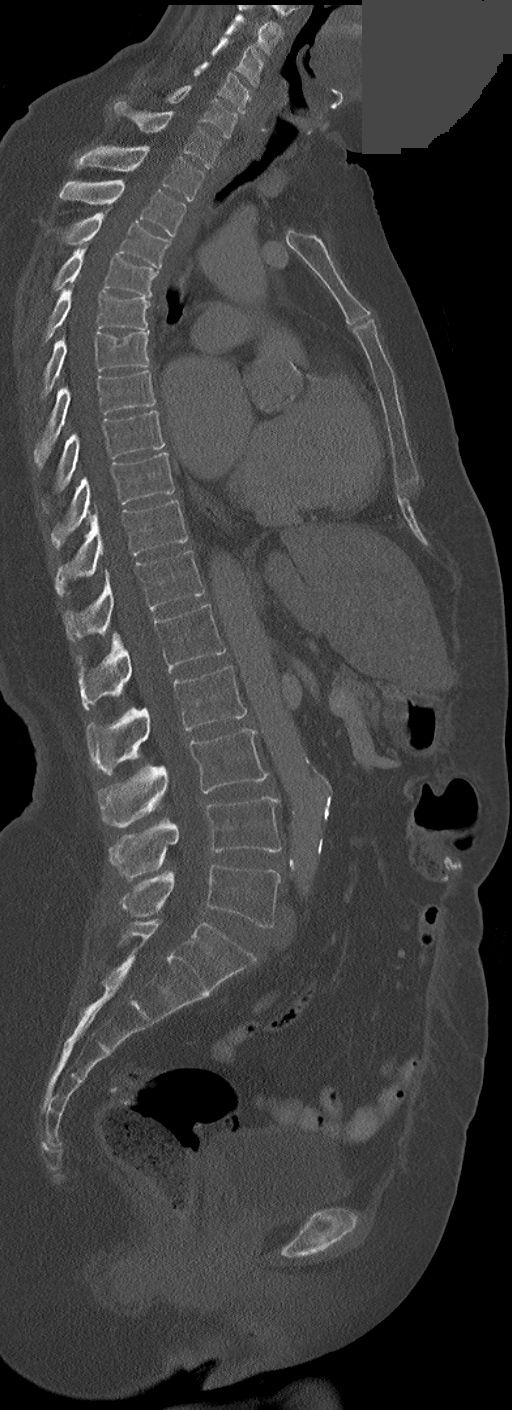 Spine computed tomography; sagittal view; bone-window reconstruction; a portion of the image is blanked out (constant pixel value). Boxes: x1:y1:x2:y2 in pixels.
These labels give this spine no T12: after T11 the next vertebra is L1.
Vertebra bounding boxes:
- C3: 226:13:282:54
- C4: 212:37:264:87
- C5: 194:61:249:115
- C6: 167:86:237:138
- C7: 112:102:221:168
- T1: 76:147:203:201
- T2: 59:179:186:235
- T3: 61:212:170:268
- T4: 53:246:156:296
- T5: 43:285:150:341
- T6: 41:330:149:396
- T7: 35:370:156:467
- T8: 55:411:164:491
- T9: 51:452:174:548
- T10: 55:500:188:595
- T11: 64:551:205:640
- L1: 76:604:225:709
- L2: 86:665:245:774
- L3: 98:728:268:826
- L4: 108:797:282:879
- L5: 120:864:280:928